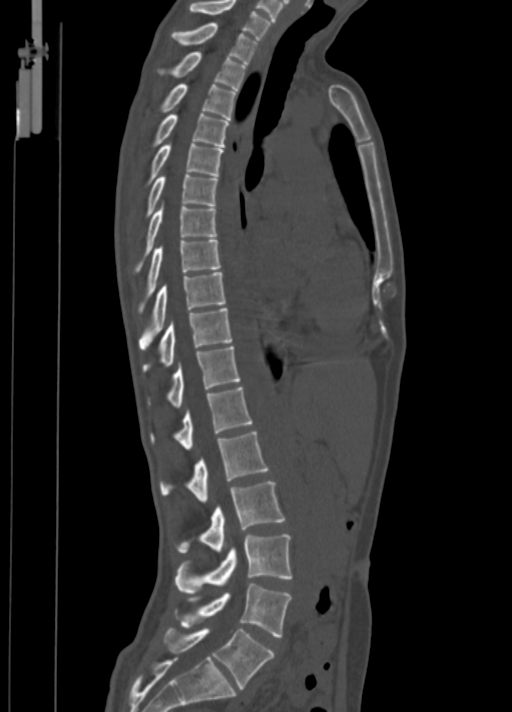

Spine CT · image width 350 mm · sagittal view · 512x712 px

Boxes: x1 y1 x2 y2 (pixel coords, space-separated). 18 vertebrae labeled — C7 at 188 0 270 40; T1 at 172 22 258 63; T2 at 159 51 246 90; T3 at 162 83 236 119; T4 at 153 114 228 147; T5 at 149 143 223 182; T6 at 146 174 217 216; T7 at 136 203 217 271; T8 at 139 240 220 311; T9 at 139 272 226 350; T10 at 143 307 231 371; T11 at 168 347 240 407; T12 at 150 386 252 450; L1 at 161 432 268 502; L2 at 178 481 284 552; L3 at 175 534 291 593; L4 at 177 584 291 637; L5 at 167 629 274 688.